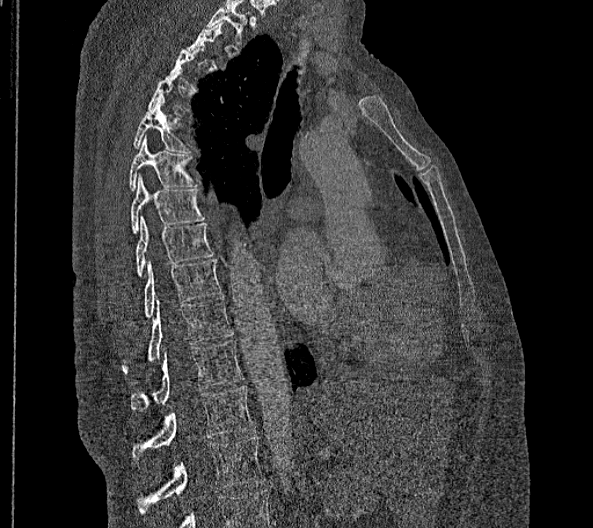 Computed tomography of the spine. sagittal reformat. the image is 356 mm wide
A vertebra is boxed only from the first to the last slice where its cross-section is at least a third of its largest; slices outside that range leave it without a box.
In these labels the spine has no T12: the thoracic vertebrae end at T11, and L1 comes next.
<vertebrae><v name="T5" x1="133" y1="98" x2="190" y2="152"/><v name="T6" x1="129" y1="135" x2="197" y2="190"/><v name="T7" x1="130" y1="174" x2="204" y2="232"/><v name="T8" x1="134" y1="215" x2="213" y2="276"/><v name="T9" x1="143" y1="259" x2="220" y2="316"/><v name="T10" x1="121" y1="297" x2="232" y2="373"/><v name="T11" x1="131" y1="340" x2="244" y2="410"/><v name="L1" x1="131" y1="385" x2="255" y2="459"/><v name="L2" x1="137" y1="437" x2="266" y2="514"/></vertebrae>